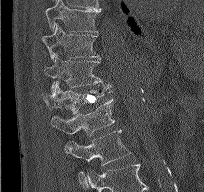
CT spine; sagittal view; bone window; 204x192 px
<vertebrae><v name="T9" x1="45" y1="0" x2="101" y2="32"/><v name="T10" x1="41" y1="23" x2="99" y2="61"/><v name="T11" x1="44" y1="54" x2="110" y2="91"/><v name="T12" x1="42" y1="84" x2="111" y2="114"/><v name="L1" x1="51" y1="98" x2="114" y2="137"/><v name="L2" x1="64" y1="130" x2="131" y2="182"/></vertebrae>